Spine computed tomography · Sagittal slice 144/250 · 250 mm image width
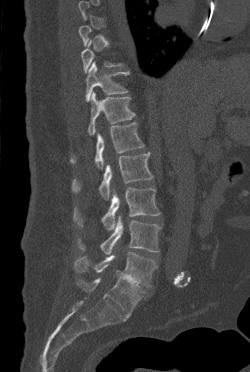

Box edges are left/top/right/bottom in pixels.
A vertebra gets a box only on the slices from the first to the last where its cross-section is at least a third of its largest; on a slice outside that range it gets none.
Vertebra bounding boxes:
- L5: left=75, top=252, right=157, bottom=286
- L4: left=79, top=215, right=161, bottom=254
- L3: left=73, top=187, right=160, bottom=230
- L2: left=72, top=152, right=153, bottom=199
- L1: left=70, top=122, right=144, bottom=169
- T12: left=88, top=91, right=135, bottom=135
- T11: left=85, top=62, right=129, bottom=101